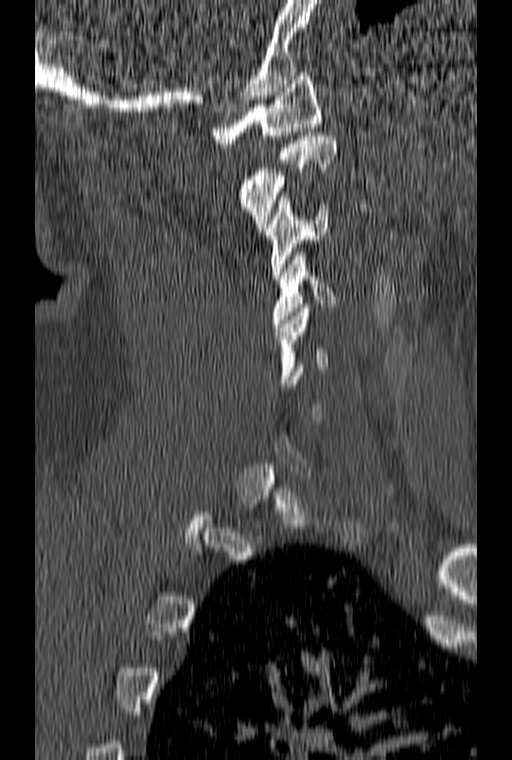 CT spine · sagittal view · W/L 1800/400 HU · 512x760 px

Boxes below are [x1, y1, x2, y2] in pixels.
Each vertebra is boxed only on the slices from the first to the last where its cross-section reaches a third of its largest, so a slice outside that range leaves it unboxed.
{"vertebrae":{"C1":[212,72,321,147],"C2":[240,132,336,231],"C3":[265,196,328,279],"C4":[272,252,336,327],"C5":[274,304,328,387]}}